Spine CT; sagittal view; 210 mm wide; 768x1218 px
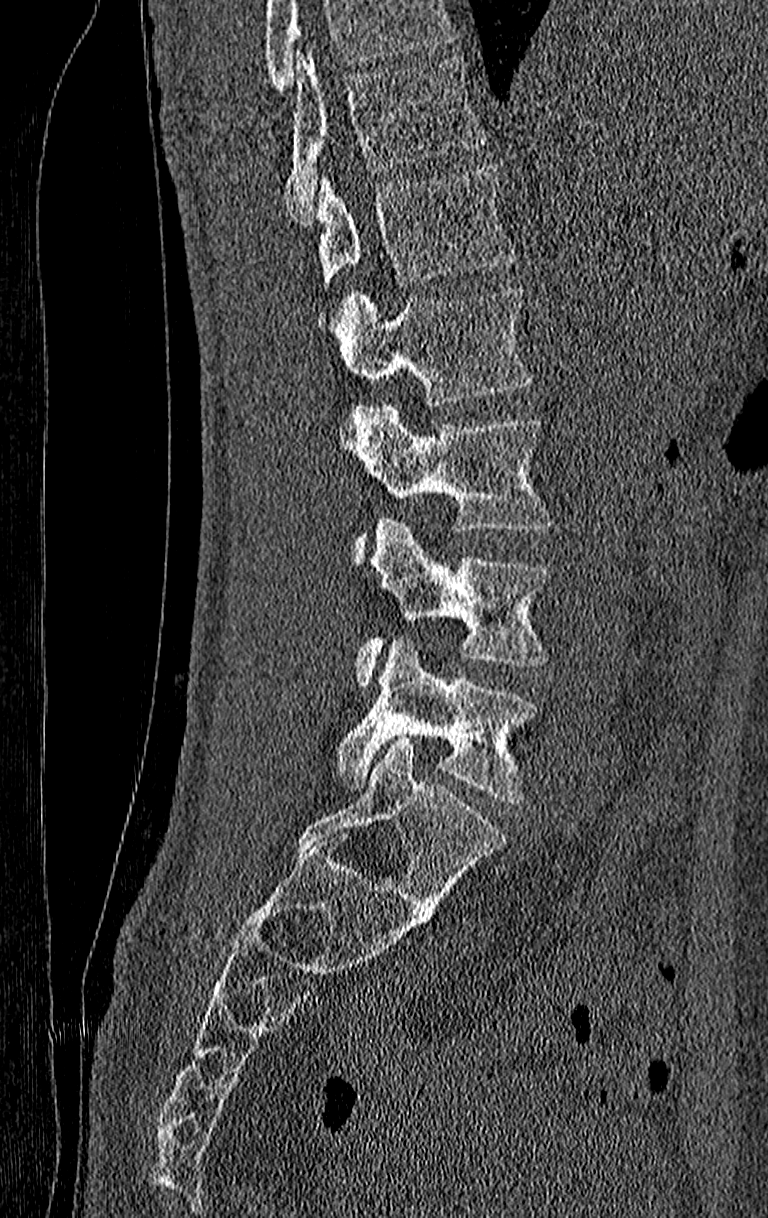 Vertebrae that run past the top of the scan are left unlabeled.
The highest labeled vertebra in this scan is T11; the lowest is L4.
<vertebrae><v name="T11" x1="284" y1="56" x2="488" y2="223"/><v name="T12" x1="317" y1="166" x2="517" y2="330"/><v name="L1" x1="339" y1="286" x2="532" y2="405"/><v name="L2" x1="353" y1="406" x2="554" y2="563"/><v name="L3" x1="357" y1="517" x2="550" y2="687"/><v name="L4" x1="335" y1="637" x2="539" y2="804"/></vertebrae>